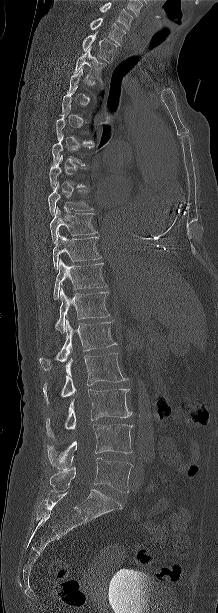

Spine CT; image 218 mm wide; sagittal view; W/L 1800/400 HU; 218x613 px

Boxes: x1:y1:x2:y2 in pixels.
A vertebra is boxed only from the first to the last slice where its cross-section is at least a third of its largest; slices outside that range leave it without a box.
In this scan, the topmost labeled vertebra is C7 and the lowest is L5.
L5: 49:457:132:492
L4: 46:424:133:469
L3: 46:389:131:440
L2: 43:353:127:404
L1: 39:320:116:370
T12: 55:288:109:333
T11: 53:259:106:299
T10: 53:234:101:269
T9: 50:208:96:242
T8: 48:183:92:215
T6: 52:132:93:165
T2: 75:48:106:82
T1: 82:30:117:63
C7: 90:18:125:44